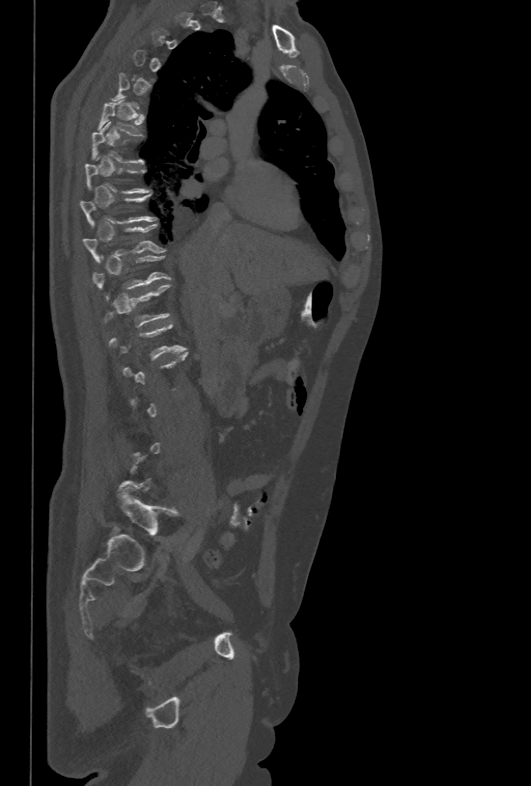

CT · sagittal reformat · 531x786 px
Boxes: x1:y1:x2:y2 in pixels.
Each vertebra is boxed only on the slices from the first to the last where its cross-section reaches a third of its largest, so a slice outside that range leaves it unboxed.
T6: 98:100:139:135
T10: 82:223:164:261